Computed tomography of the spine · sagittal reformat · bone window · 512x933 px · 10 vertebrae labeled in this scan · a region of this slice is masked with a uniform fill
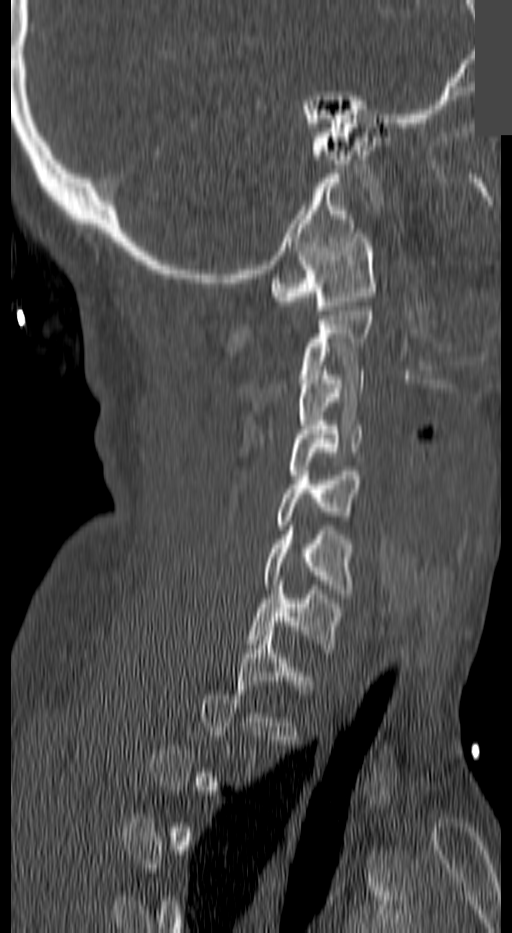 Boxes below are [x1, y1, x2, y2] in pixels.
Each vertebra is boxed only on the slices from the first to the last where its cross-section reaches a third of its largest, so a slice outside that range leaves it unboxed.
{"vertebrae":{"C1":[272,233,373,314],"C3":[298,370,362,438],"C4":[290,421,362,479],"C5":[276,471,359,529],"C6":[265,526,351,593],"C7":[250,581,340,648]}}